Spine computed tomography — sagittal reformat — bone-window reconstruction — 512x263 px
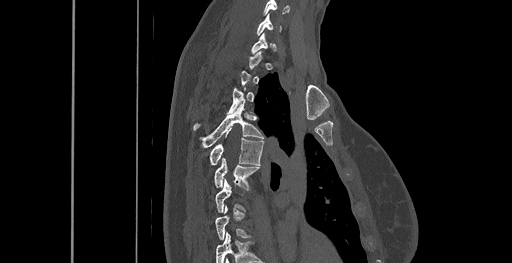
Each row gives a vertebra's box as x1, y1, x2, y2 in pixels: top-left corner, then bottom-right corner.
Each vertebra is boxed only on the slices from the first to the last where its cross-section reaches a third of its largest, so a slice outside that range leaves it unboxed.
This scan's labels start at C6 at the top and end at T8 at the bottom.
| vertebra | x1 | y1 | x2 | y2 |
|---|---|---|---|---|
| T6 | 214 | 157 | 259 | 189 |
| T5 | 210 | 132 | 263 | 165 |
| T4 | 199 | 103 | 263 | 147 |
| T3 | 193 | 89 | 245 | 130 |
| C6 | 256 | 14 | 281 | 34 |